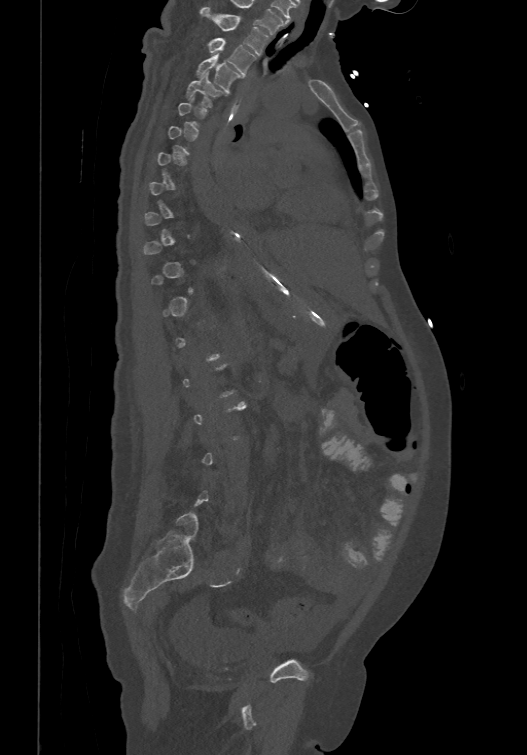
Spine CT. sagittal view. bone window. 527x755 px. the image spans 474 mm across
In the table, x1 and y1 are a box's top-left corner and x2 and y2 its bottom-right corner, in pixels.
A vertebra is boxed only from the first to the last slice where its cross-section is at least a third of its largest; slices outside that range leave it without a box.
| vertebra | x1 | y1 | x2 | y2 |
|---|---|---|---|---|
| T1 | 201 | 6 | 269 | 54 |
| T2 | 208 | 37 | 255 | 75 |
| T3 | 196 | 53 | 240 | 91 |
| T4 | 185 | 71 | 223 | 106 |